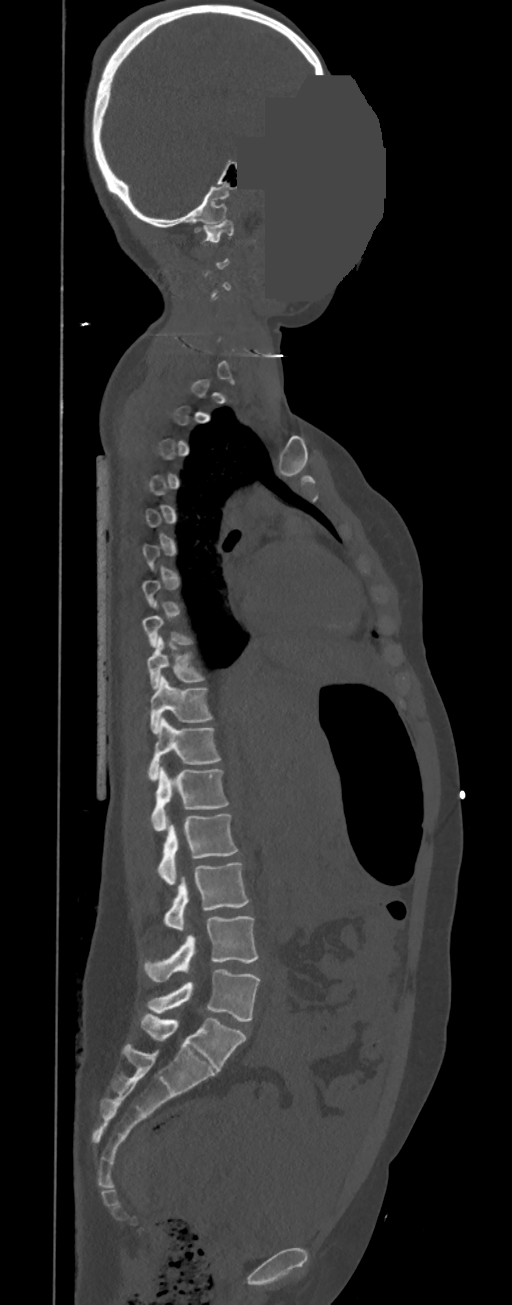 Spine computed tomography — sagittal reformat — 350 mm wide — a portion of the image is blanked out (constant pixel value)
Boxes below are [x1, y1, x2, y2] in pixels.
A vertebra gets a box only on the slices from the first to the last where its cross-section is at least a third of its largest; on a slice outside that range it gets none.
In these labels the thoracic vertebrae end at T11, so L1 follows T11.
{"vertebrae":{"C1":[202,219,233,241],"T9":[148,636,205,690],"T10":[149,675,212,734],"T11":[148,716,221,781],"L1":[150,766,228,831],"L2":[156,814,239,884],"L3":[164,862,249,930],"L4":[143,916,258,981],"L5":[146,970,259,1022]}}